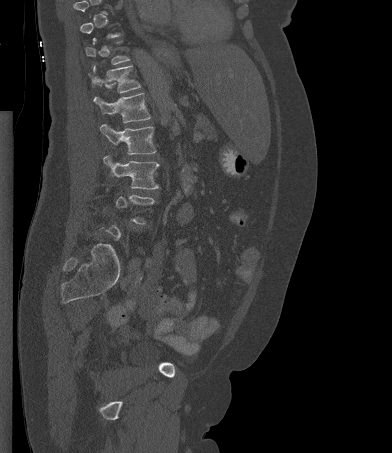

Spine CT. sagittal view. bone-window reconstruction. image width 392 mm. 392x453 px. Boxes: x1 y1 x2 y2 (pixel coords, space-separated).
Not every vertebra on this slice has a box: a vertebra is boxed only from the first to the last slice where its cross-section is at least a third of its largest, and this slice is outside that range for at least one of them.
T12: 88 65 141 92
L1: 93 93 150 122
L2: 100 124 156 154
L3: 103 155 159 189